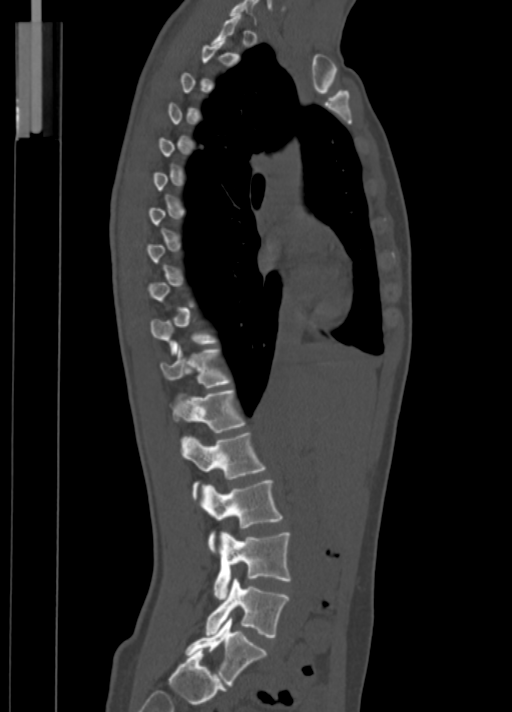 CT, spine — sagittal view
Each box given as x1,y1,x2,y2.
A vertebra is boxed only from the first to the last slice where its cross-section is at least a third of its largest; slices outside that range leave it without a box.
Vertebra bounding boxes:
- L5: x1=186, y1=617, x2=266, y2=687
- L4: x1=206, y1=578, x2=288, y2=637
- L3: x1=213, y1=531, x2=290, y2=599
- L2: x1=200, y1=480, x2=283, y2=552
- L1: x1=181, y1=433, x2=265, y2=499
- T12: x1=171, y1=389, x2=245, y2=432
- T11: x1=161, y1=347, x2=230, y2=388
- C7: x1=229, y1=0, x2=258, y2=22